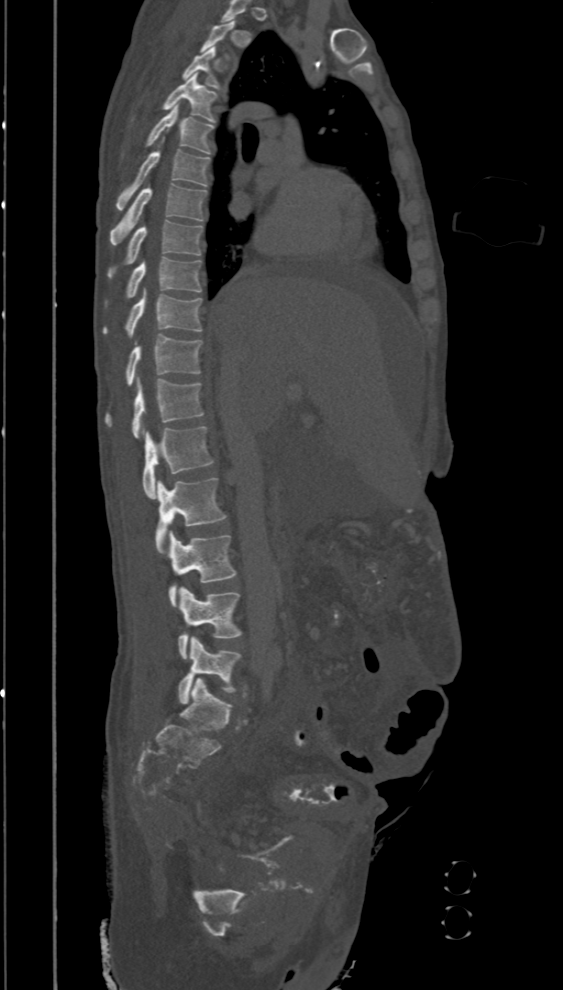 Computed tomography of the spine — sagittal view — Bone window (WL 400, WW 1800) — image 394 mm wide — 563x990 px
Boxes: x1:y1:x2:y2 in pixels.
A vertebra is boxed only from the first to the last slice where its cross-section is at least a third of its largest; slices outside that range leave it without a box.
L5: 177:636:241:703
L4: 178:586:240:658
L3: 168:530:236:607
L2: 155:477:225:555
L1: 143:426:213:498
T12: 104:377:203:438
T11: 125:333:202:385
T10: 102:289:201:336
T9: 103:257:201:306
T8: 109:220:201:278
T7: 110:183:206:245
T6: 115:137:209:209
T5: 147:105:213:154
T4: 163:73:216:122
T3: 182:47:224:89